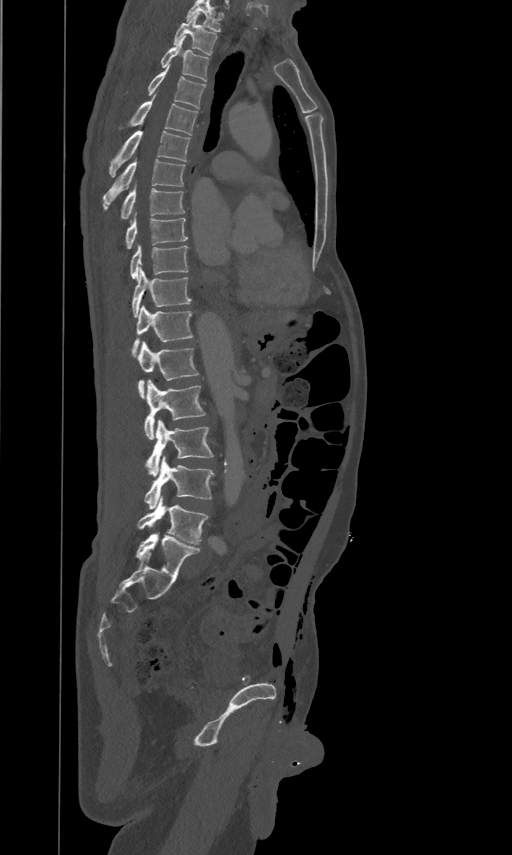 CT spine; sagittal view; bone window

This scan's labels start at T2 at the top and end at L5 at the bottom.
<vertebrae><v name="T2" x1="173" y1="13" x2="216" y2="54"/><v name="T3" x1="161" y1="35" x2="209" y2="81"/><v name="T4" x1="148" y1="64" x2="205" y2="109"/><v name="T5" x1="128" y1="94" x2="197" y2="135"/><v name="T6" x1="109" y1="130" x2="190" y2="175"/><v name="T7" x1="103" y1="159" x2="185" y2="209"/><v name="T8" x1="120" y1="187" x2="185" y2="219"/><v name="T9" x1="124" y1="216" x2="188" y2="249"/><v name="T10" x1="130" y1="244" x2="188" y2="278"/><v name="T11" x1="132" y1="266" x2="191" y2="317"/><v name="T12" x1="132" y1="304" x2="192" y2="355"/><v name="L1" x1="138" y1="341" x2="199" y2="398"/><v name="L2" x1="144" y1="379" x2="205" y2="440"/><v name="L3" x1="146" y1="419" x2="213" y2="475"/><v name="L4" x1="144" y1="456" x2="214" y2="509"/><v name="L5" x1="138" y1="497" x2="209" y2="544"/></vertebrae>